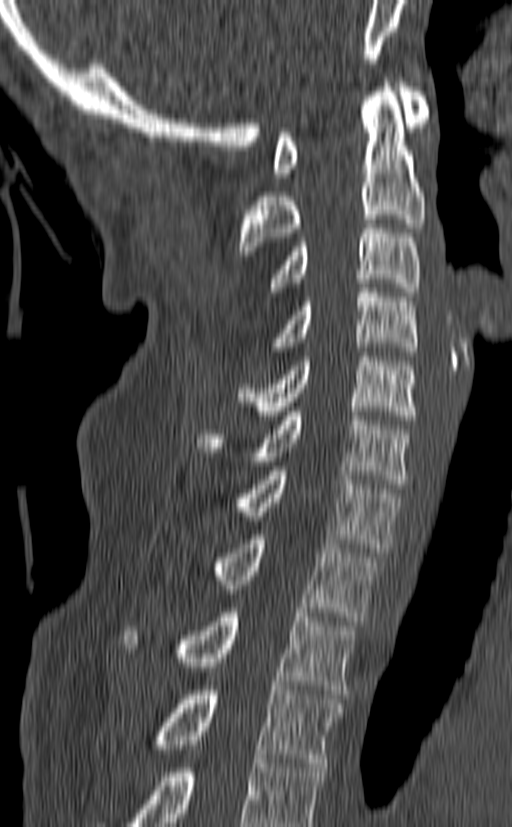 Spine CT · image width 140 mm · sagittal view · bone window
Boxes: x1 y1 x2 y2 (pixel coords, space-separated).
This scan's labels start at C1 at the top and end at T3 at the bottom.
Vertebra bounding boxes:
- C1: 272 78 428 177
- C2: 238 78 425 255
- C3: 268 219 421 296
- C4: 272 288 417 356
- C5: 237 352 417 420
- C6: 197 411 410 488
- C7: 239 466 399 552
- T1: 151 535 381 621
- T2: 122 608 356 694
- T3: 155 686 342 767